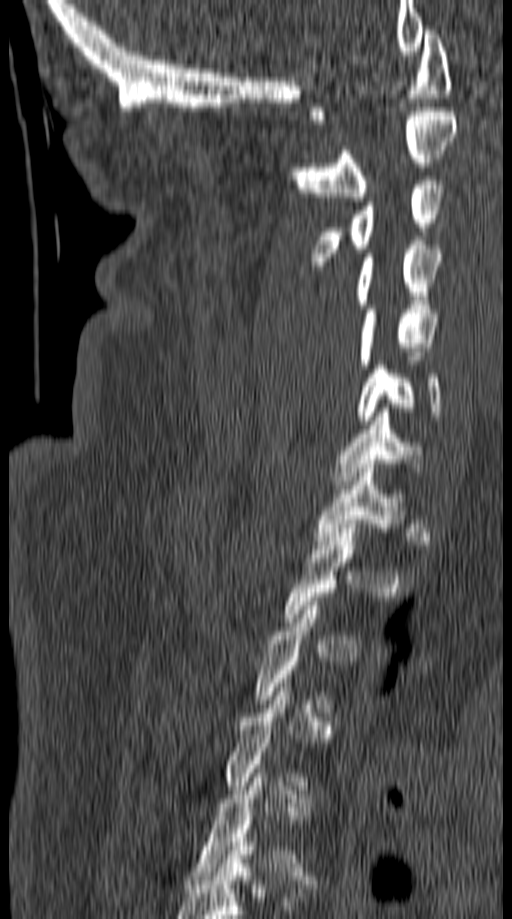
CT spine. sagittal view. bone window. 149 mm image width. Columns x1, y1, x2, y2 give each box's top-left and bottom-right pixels.
Each vertebra is boxed only on the slices from the first to the last where its cross-section reaches a third of its largest, so a slice outside that range leaves it unboxed.
| vertebra | x1 | y1 | x2 | y2 |
|---|---|---|---|---|
| C1 | 309 | 26 | 452 | 124 |
| C2 | 293 | 107 | 457 | 201 |
| C3 | 310 | 176 | 443 | 270 |
| C4 | 356 | 241 | 443 | 308 |
| C5 | 358 | 305 | 440 | 364 |
| C6 | 357 | 361 | 442 | 424 |
| C7 | 333 | 408 | 423 | 489 |
| T1 | 314 | 464 | 407 | 545 |